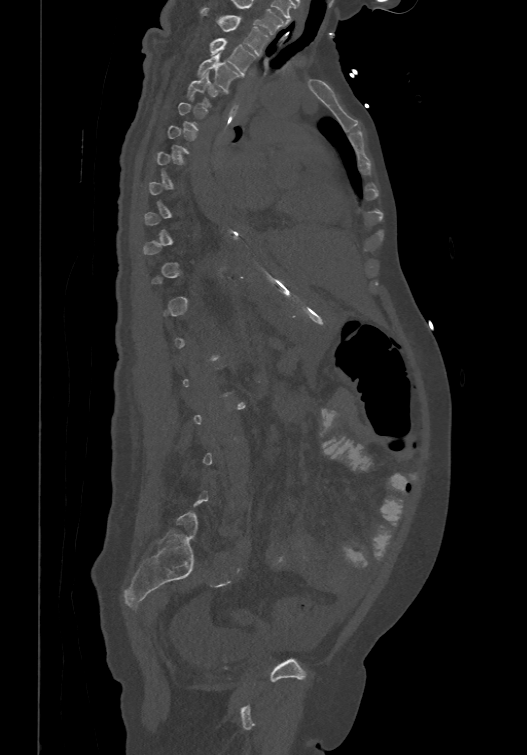
CT, spine · sagittal view · bone-window reconstruction

Each vertebra maps to its box as [x1, y1, x2, y2], the pixel coordinates of its top-left and bottom-right corners.
A vertebra gets a box only on the slices from the first to the last where its cross-section is at least a third of its largest; on a slice outside that range it gets none.
{"vertebrae":{"T1":[201,8,269,54],"T2":[210,37,255,74],"T3":[198,53,240,90],"T4":[186,72,219,105]}}